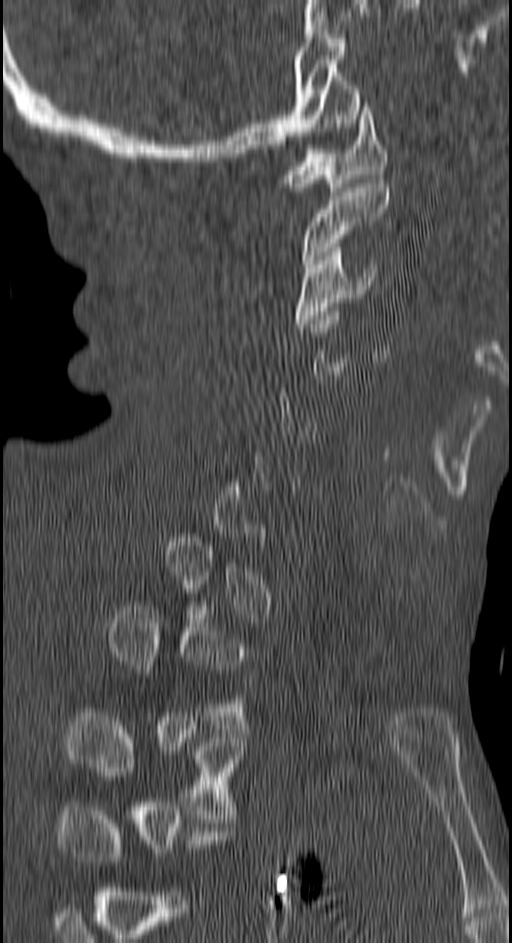
Spine computed tomography — sagittal view
Boxes below are [x1, y1, x2, y2] in pixels.
A vertebra is boxed only from the first to the last slice where its cross-section is at least a third of its largest; slices outside that range leave it without a box.
{"vertebrae":{"T3":[66,713,246,818],"T2":[110,606,249,729],"C3":[295,247,376,328],"C2":[302,179,389,268],"C1":[281,102,386,191]}}